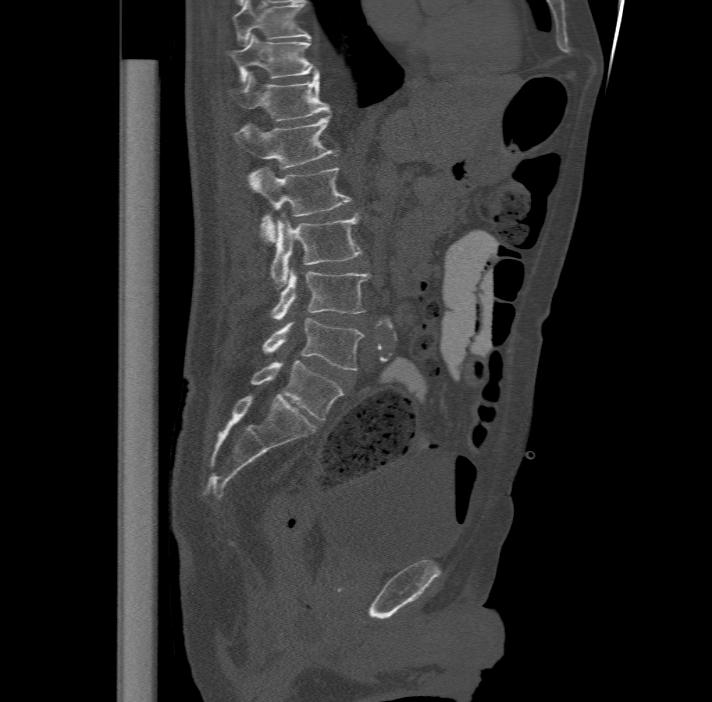 CT; sagittal view; bone window; 712x702 px

This scan's labels start at T11 at the top and end at L6 at the bottom.
The labels name a sixth lumbar vertebra for this spine: L6, after L5.
<vertebrae><v name="T11" x1="227" y1="34" x2="317" y2="81"/><v name="T12" x1="229" y1="73" x2="330" y2="120"/><v name="L1" x1="234" y1="113" x2="331" y2="167"/><v name="L2" x1="249" y1="167" x2="351" y2="242"/><v name="L3" x1="270" y1="212" x2="362" y2="287"/><v name="L4" x1="271" y1="267" x2="369" y2="320"/><v name="L5" x1="263" y1="318" x2="363" y2="370"/><v name="L6" x1="250" y1="360" x2="344" y2="421"/></vertebrae>